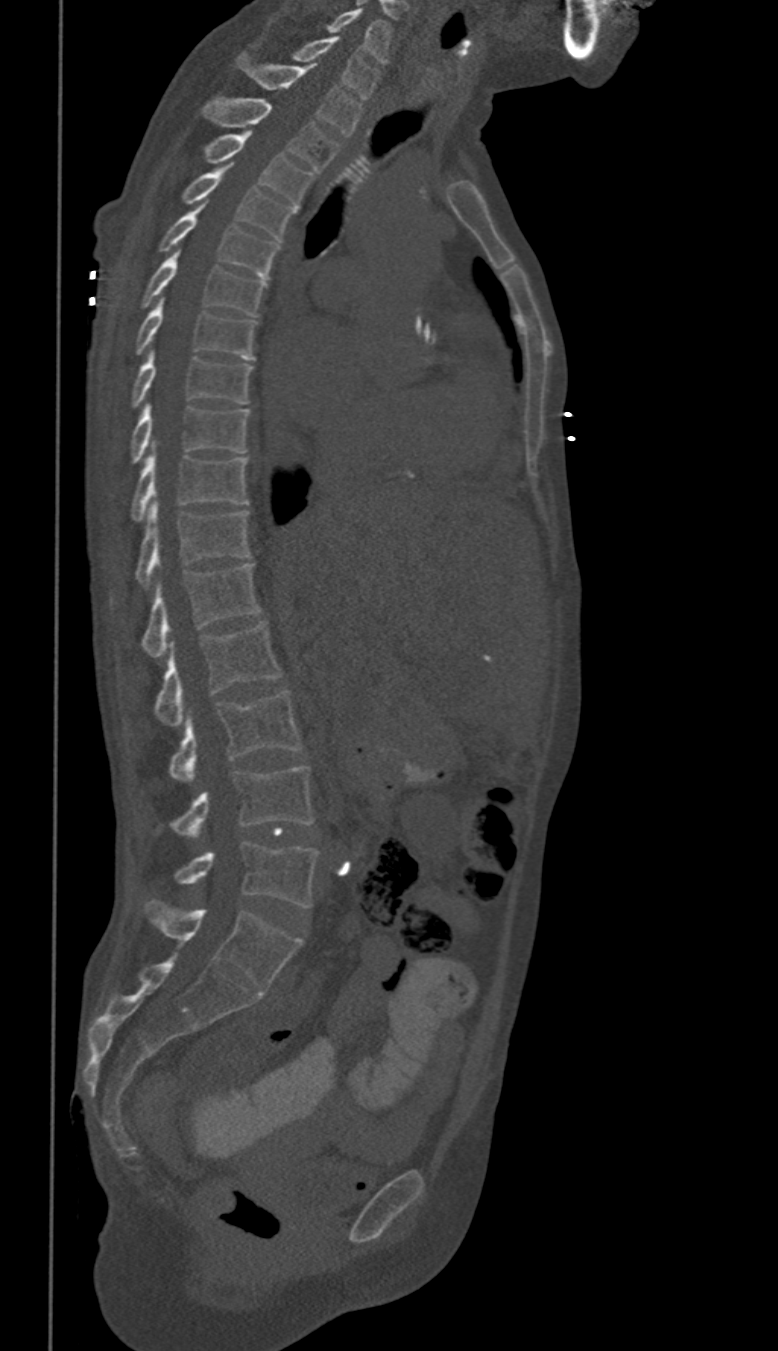
Computed tomography of the spine · sagittal view · Bone window (WL 400, WW 1800) · 350 mm wide
Box values are [left, top, right, bottom] in pixels.
These labels give this spine no T12: after T11 the next vertebra is L1.
{"vertebrae":{"L5":[175,840,318,906],"L4":[170,767,312,839],"L3":[169,692,301,782],"L2":[155,620,282,726],"L1":[141,563,259,657],"T11":[135,500,250,586],"T10":[134,443,248,519],"T9":[131,405,250,462],"T8":[134,352,253,406],"T7":[137,298,254,359],"T6":[141,249,268,315],"T5":[160,203,279,277],"T4":[182,165,297,239],"T3":[204,132,312,204],"T2":[202,98,339,171],"T1":[237,52,361,135],"C7":[293,36,379,99],"C6":[327,8,389,64]}}